Spine CT; sagittal view; Bone window (WL 400, WW 1800)
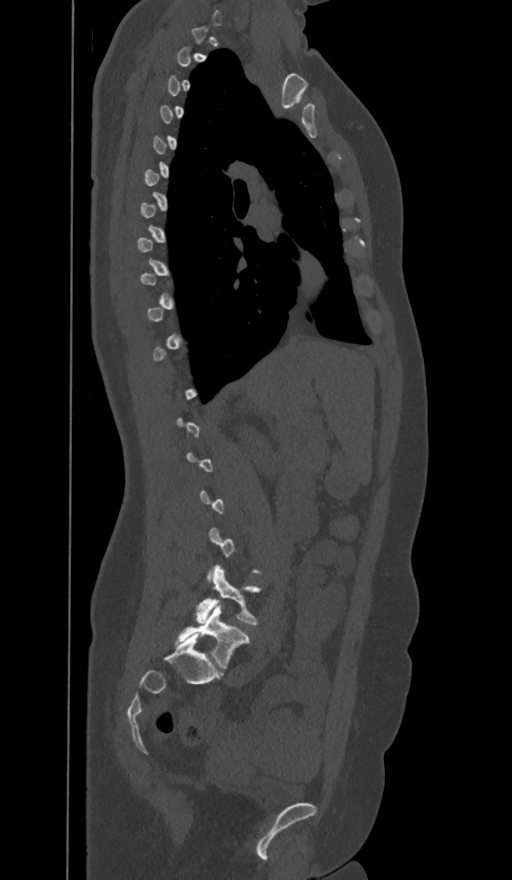
Not every vertebra on this slice has a box: a vertebra is boxed only from the first to the last slice where its cross-section is at least a third of its largest, and this slice is outside that range for at least one of them.
These labels give the spine a sixth lumbar vertebra, L6, below L5.
<vertebrae><v name="L5" x1="196" y1="566" x2="260" y2="624"/><v name="L6" x1="176" y1="605" x2="249" y2="668"/></vertebrae>